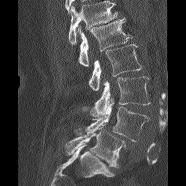

Spine CT. 186 mm wide. sagittal view
Boxes: x1:y1:x2:y2 in pixels.
No box is given to a vertebra that the top edge of the scan cuts off.
Vertebra bounding boxes:
- L1: 78:16:132:66
- L2: 88:44:141:90
- L3: 90:76:150:117
- L4: 86:98:149:141
- L5: 65:127:125:167